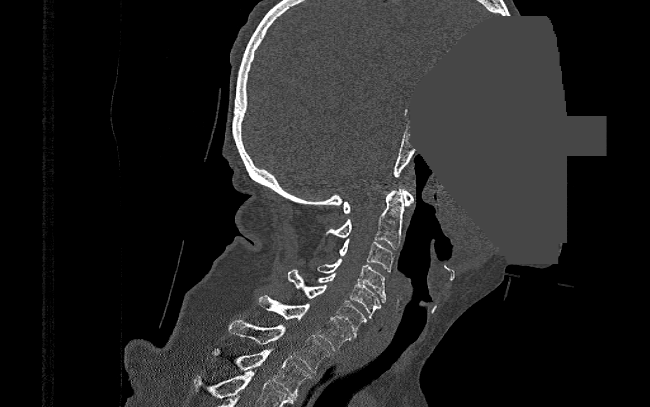
Spine computed tomography. sagittal view. bone window. the image spans 390 mm across. a region of this slice is masked with a uniform fill

Each box is [x1, y1, x2, y2] in pixels: top-left corner, then bottom-right corner.
{"vertebrae":{"C1":[343,188,414,213],"C2":[326,190,404,248],"C3":[338,239,393,273],"C4":[317,258,386,303],"C5":[316,273,381,321],"C6":[287,270,367,337],"C7":[258,294,352,350],"T1":[229,320,330,371],"T2":[209,348,310,397]}}